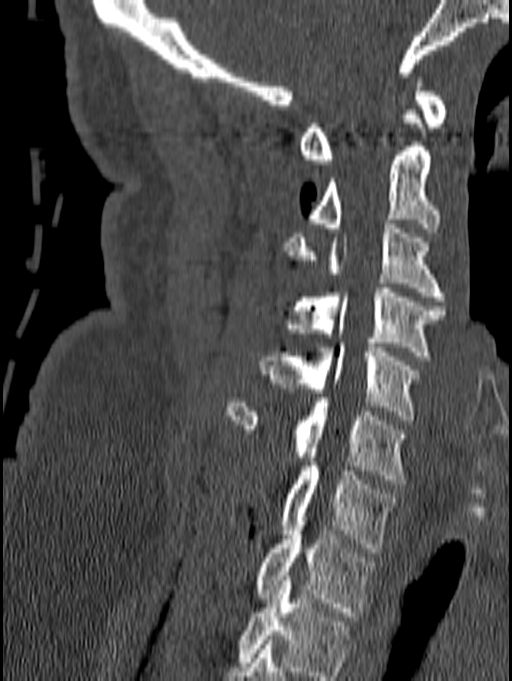

Spine computed tomography — sagittal view — W/L 1800/400 HU — 512x681 px
Boxes: x1:y1:x2:y2 in pixels.
This scan's labels start at C1 at the top and end at T1 at the bottom.
Vertebra bounding boxes:
- C1: 299:78:447:164
- C2: 309:110:440:232
- C3: 282:219:445:301
- C4: 286:288:447:360
- C5: 260:343:421:424
- C6: 225:398:406:484
- C7: 279:462:399:552
- T1: 254:521:375:616